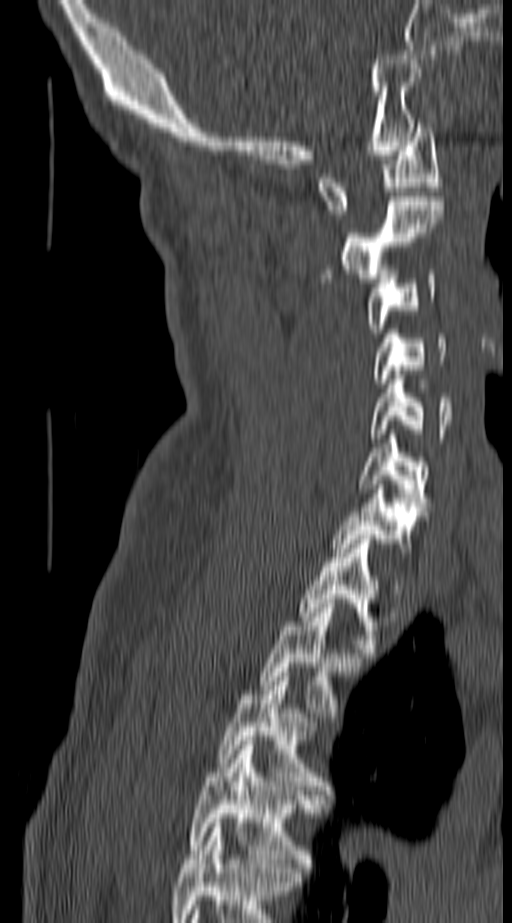 Computed tomography of the spine; sagittal view
The highest labeled vertebra in this scan is C1; the lowest is T4.
<vertebrae><v name="C1" x1="320" y1="123" x2="441" y2="214"/><v name="C2" x1="341" y1="201" x2="443" y2="282"/><v name="C3" x1="367" y1="270" x2="436" y2="333"/><v name="C4" x1="374" y1="329" x2="447" y2="383"/><v name="C5" x1="371" y1="370" x2="454" y2="442"/><v name="C6" x1="359" y1="434" x2="428" y2="511"/><v name="C7" x1="334" y1="485" x2="426" y2="548"/><v name="T1" x1="300" y1="535" x2="377" y2="648"/><v name="T2" x1="259" y1="599" x2="360" y2="717"/><v name="T3" x1="221" y1="672" x2="326" y2="794"/><v name="T4" x1="192" y1="741" x2="315" y2="868"/></vertebrae>